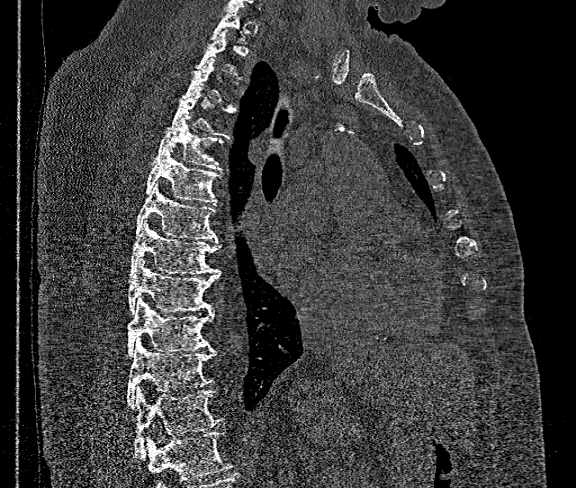

Computed tomography of the spine. sagittal reformat. Bone window (WL 400, WW 1800)
Boxes: x1 y1 x2 y2 (pixel coords, space-separated).
A vertebra is boxed only from the first to the last slice where its cross-section is at least a third of its largest; slices outside that range leave it without a box.
Vertebrae that run past the bottom of the scan are left unlabeled.
Vertebra bounding boxes:
- T12: 134 389 221 457
- T11: 128 340 216 407
- T10: 128 297 215 356
- T9: 128 258 219 313
- T8: 129 217 219 275
- T7: 136 182 216 239
- T6: 144 148 221 204
- T5: 156 115 223 171
- T4: 166 87 234 139